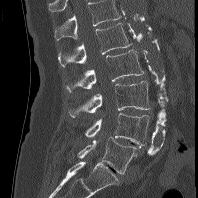 Spine computed tomography; the image spans 198 mm across; sagittal view; W/L 1800/400 HU
Boxes below are [x1, y1, x2, y2] in pixels.
In this scan, the topmost labeled vertebra is L1 and the lowest is L5.
{"vertebrae":{"L1":[58,23,132,67],"L2":[66,49,144,93],"L3":[68,81,150,117],"L4":[85,113,149,145],"L5":[78,137,136,174]}}